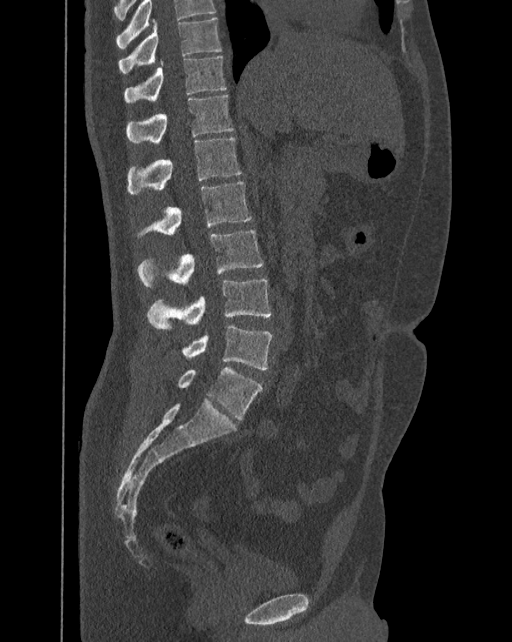 CT spine · sagittal reformat · 512x642 px
Bounding boxes as [x1, y1, x2, y2] in pixel coordinates.
In this scan, the topmost labeled vertebra is T10 and the lowest is L6.
In these labels the spine has an L6, a sixth lumbar vertebra below L5.
T10: [119, 18, 221, 73]
T11: [124, 55, 226, 102]
T12: [127, 94, 233, 144]
L1: [128, 138, 242, 194]
L2: [138, 181, 251, 236]
L3: [137, 230, 263, 286]
L4: [146, 279, 271, 328]
L5: [182, 324, 272, 369]
L6: [177, 367, 261, 420]